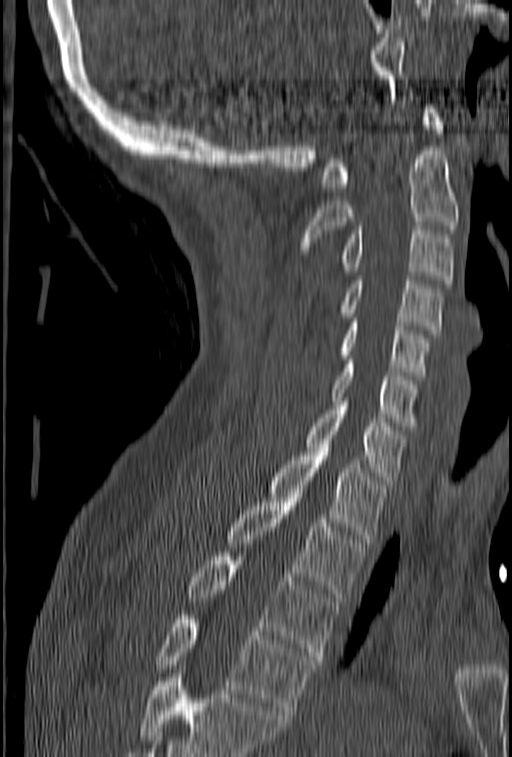

Spine CT. sagittal view. 512x757 px

A vertebra cut off by the bottom edge of the scan is not labeled and has no box.
<vertebrae><v name="T4" x1="155" y1="615" x2="315" y2="714"/><v name="T3" x1="185" y1="552" x2="338" y2="660"/><v name="T2" x1="226" y1="494" x2="365" y2="597"/><v name="T1" x1="269" y1="452" x2="386" y2="543"/><v name="C7" x1="305" y1="397" x2="405" y2="484"/><v name="C6" x1="332" y1="360" x2="418" y2="430"/><v name="C5" x1="339" y1="314" x2="429" y2="380"/><v name="C4" x1="339" y1="276" x2="442" y2="334"/><v name="C3" x1="339" y1="226" x2="454" y2="283"/><v name="C2" x1="301" y1="151" x2="459" y2="254"/><v name="C1" x1="322" y1="105" x2="443" y2="191"/></vertebrae>